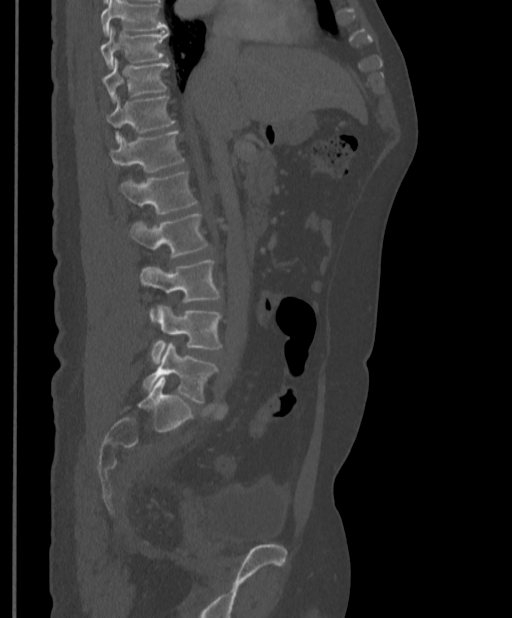

CT, spine; sagittal view; W/L 1800/400 HU
Boxes: x1:y1:x2:y2 in pixels.
A vertebra cut off by the top edge of the scan is not labeled and has no box.
T9: 100:27:168:67
T10: 103:58:169:101
T11: 106:95:176:141
T12: 108:130:185:172
L1: 120:172:197:214
L2: 130:213:209:257
L3: 139:259:221:321
L4: 151:306:222:364
L5: 143:343:218:403